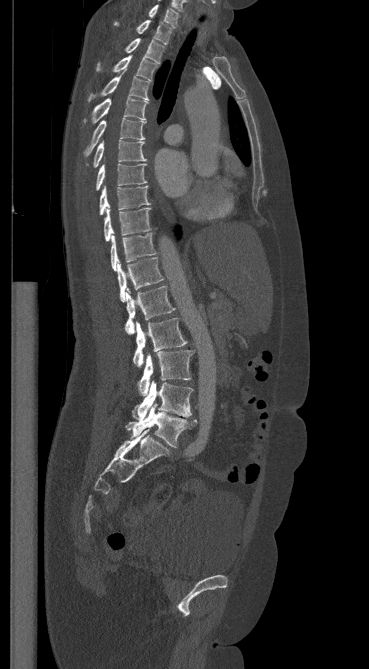 Spine computed tomography — sagittal view

Bounding boxes as [x1, y1, x2, y2] in pixel coordinates.
C7: [148, 4, 178, 27]
T1: [114, 20, 171, 44]
T2: [125, 38, 164, 63]
T3: [97, 55, 156, 80]
T4: [89, 72, 148, 100]
T5: [85, 97, 148, 124]
T6: [84, 118, 146, 155]
T7: [93, 140, 146, 167]
T8: [96, 163, 146, 190]
T9: [99, 186, 149, 214]
T10: [104, 206, 150, 241]
T11: [110, 233, 156, 270]
T12: [117, 257, 163, 301]
L1: [124, 286, 174, 334]
L2: [133, 318, 187, 367]
L3: [138, 350, 193, 395]
L4: [132, 380, 193, 421]
L5: [126, 404, 196, 447]